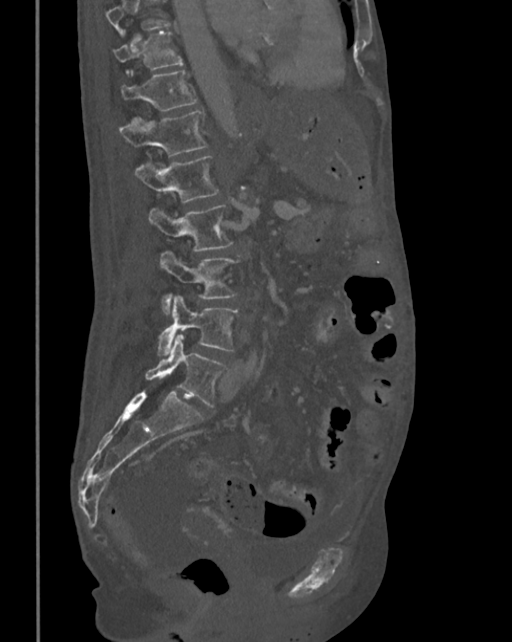

Computed tomography of the spine · sagittal reformat · bone window

Each box given as x1,y1,x2,y2. Where the top of the scan cuts through a vertebra, that vertebra gets no label or box. Vertebrae labeled: T10 at x1=112, y1=31, x2=183, y2=72, T11 at x1=120, y1=71, x2=198, y2=110, T12 at x1=120, y1=110, x2=207, y2=156, L1 at x1=134, y1=156, x2=220, y2=202, L2 at x1=148, y1=204, x2=232, y2=251, L3 at x1=158, y1=252, x2=238, y2=315, L4 at x1=157, y1=296, x2=238, y2=355, L5 at x1=145, y1=334, x2=228, y2=407.